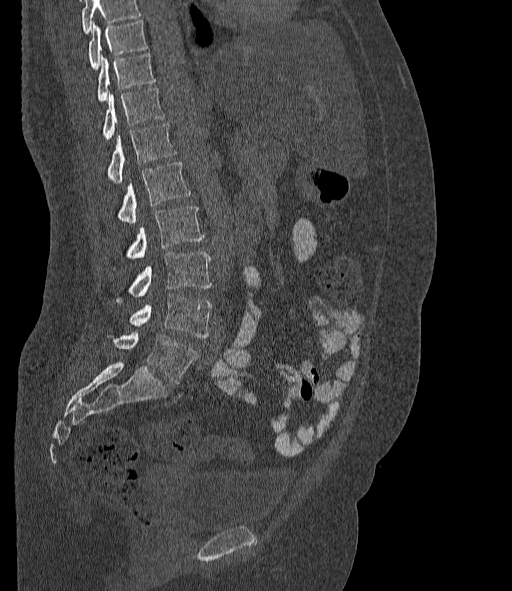

Computed tomography of the spine. the image is 377 mm wide. sagittal view. 512x591 px
Each vertebra maps to its box as [x1, y1, x2, y2], the pixel coordinates of its top-left and bottom-right corners.
A vertebra cut off by the top edge of the scan is not labeled and has no box.
These labels give the spine a sixth lumbar vertebra, L6, below L5.
{"vertebrae":{"L6":[107,331,197,383],"L5":[129,293,212,337],"L4":[115,253,211,302],"L3":[113,206,203,269],"L2":[118,162,190,223],"L1":[107,124,175,182],"T12":[103,88,165,140],"T11":[98,53,155,101],"T10":[88,20,147,68]}}